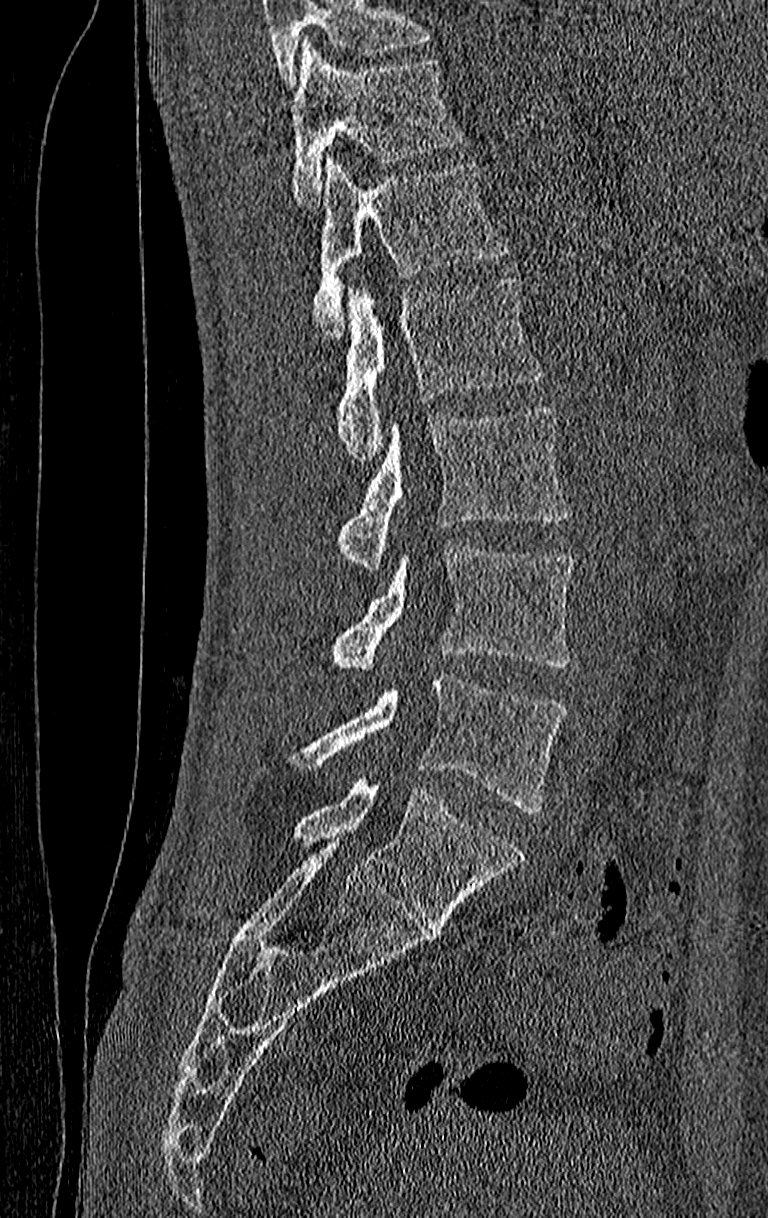
CT. sagittal view. 210 mm image width
A vertebra cut off by the top edge of the scan is not labeled and has no box.
In this scan, the topmost labeled vertebra is T11 and the lowest is L4.
<vertebrae><v name="T11" x1="291" y1="41" x2="462" y2="205"/><v name="T12" x1="312" y1="158" x2="506" y2="336"/><v name="L1" x1="335" y1="275" x2="543" y2="465"/><v name="L2" x1="339" y1="406" x2="565" y2="570"/><v name="L3" x1="331" y1="541" x2="575" y2="672"/><v name="L4" x1="299" y1="673" x2="565" y2="812"/></vertebrae>